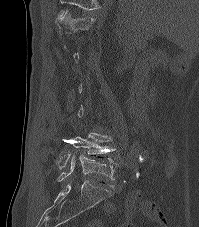
Spine CT; sagittal view; 199 mm image width

Bounding boxes as [x1, y1, x2, y2] in pixel coordinates.
Not every vertebra on this slice has a box: a vertebra is boxed only from the first to the last slice where its cross-section is at least a third of its largest, and this slice is outside that range for at least one of them.
Labels in this scan begin with T12 at the top and end with L5 at the bottom.
Vertebra bounding boxes:
- L5: [57, 152, 119, 181]
- L4: [56, 133, 115, 171]
- T12: [57, 11, 94, 41]